CT · sagittal reformat · bone-window reconstruction · image 461 mm wide
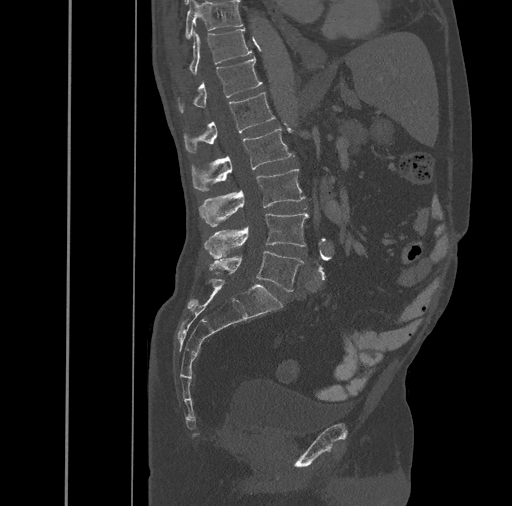
Boxes are (x1, y1, x2, y2) in pixels.
L5: (209, 251, 303, 291)
L4: (204, 213, 308, 258)
L3: (199, 168, 305, 226)
L2: (191, 128, 294, 191)
L1: (183, 92, 275, 153)
T12: (178, 57, 262, 113)
T11: (189, 28, 252, 74)
T10: (184, 1, 243, 40)